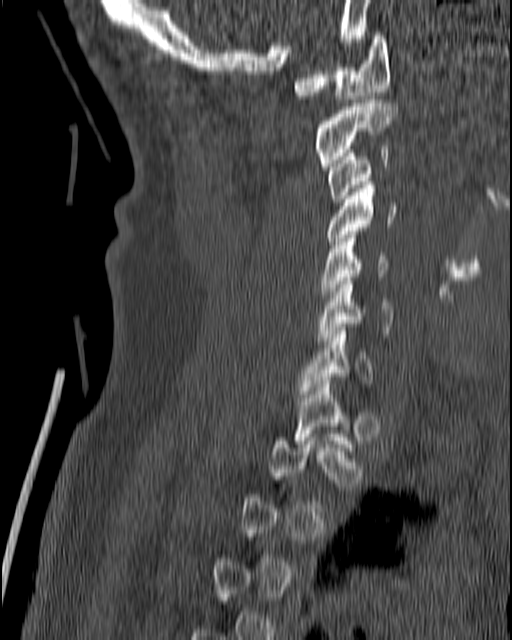
Spine CT · sagittal reformat · bone window · 512x640 px
Each vertebra maps to its box as [x1, y1, x2, y2], the pixel coordinates of its top-left and bottom-right corners.
Not every vertebra on this slice has a box: a vertebra is boxed only from the first to the last slice where its cross-section is at least a third of its largest, and this slice is outside that range for at least one of them.
{"vertebrae":{"C1":[294,32,390,99],"C2":[314,100,397,166],"C3":[325,146,389,202],"C4":[325,181,398,248],"C5":[319,235,387,301],"C6":[316,277,394,340],"C7":[297,327,373,397]}}